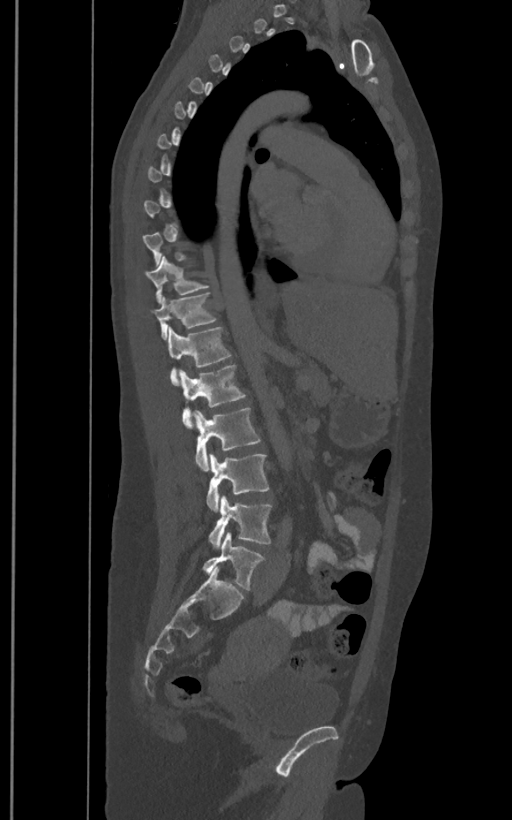

Spine computed tomography · sagittal view · bone window. Coordinates as <box>x1,y1,x2,y2</box>. A vertebra is boxed only from the first to the last slice where its cross-section is at least a third of its largest; slices outside that range leave it without a box. These labels give the spine a sixth lumbar vertebra, L6, below L5. Vertebrae labeled: T11 at <box>144,256,209,302</box>, T12 at <box>151,293,216,338</box>, L1 at <box>166,326,231,384</box>, L2 at <box>179,365,246,428</box>, L3 at <box>193,407,260,470</box>, L4 at <box>206,453,269,510</box>, L5 at <box>208,495,271,549</box>, L6 at <box>202,532,264,590</box>.